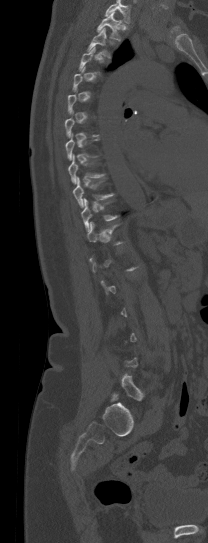
Computed tomography of the spine · sagittal view · image 208 mm wide. Boxes: x1:y1:x2:y2 in pixels.
A vertebra gets a box only on the slices from the first to the last where its cross-section is at least a third of its largest; on a slice outside that range it gets none.
Where the top of the scan cuts through a vertebra, that vertebra gets no label or box.
T1: 97:12:121:41
T2: 86:27:110:58
T9: 73:177:114:207